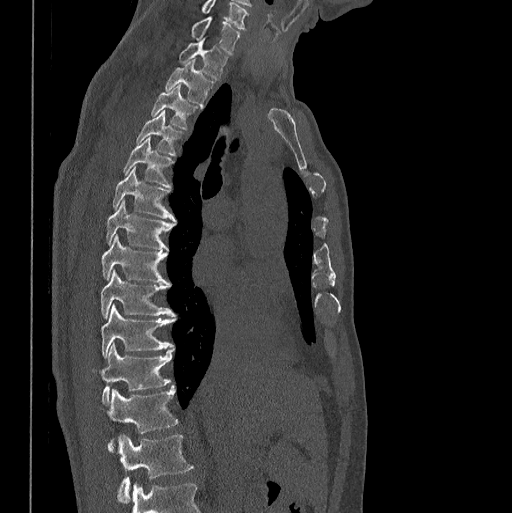

CT. sagittal reformat
Each vertebra maps to its box as [x1, y1, x2, y2], the pixel coordinates of its top-left and bottom-right corners.
This scan's labels start at C7 at the top and end at L1 at the bottom.
{"vertebrae":{"C7":[190,16,239,53],"T1":[179,39,227,80],"T2":[165,60,214,107],"T3":[150,85,197,130],"T4":[136,110,183,155],"T5":[123,138,174,187],"T6":[113,167,175,221],"T7":[105,200,175,249],"T8":[101,234,169,283],"T9":[100,270,175,317],"T10":[101,304,175,358],"T11":[101,344,173,404],"T12":[108,386,178,452],"L1":[118,434,193,503]}}